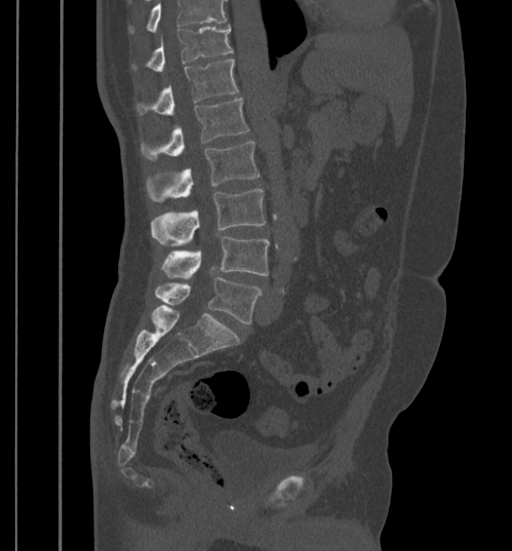 Spine CT. sagittal view
Boxes: x1:y1:x2:y2 in pixels.
Where the top of the scan cuts through a vertebra, that vertebra gets no label or box.
Vertebra bounding boxes:
- T11: 132:26:232:72
- T12: 137:59:239:114
- L1: 141:98:249:160
- L2: 146:141:259:201
- L3: 151:188:266:245
- L4: 162:236:270:277
- L5: 155:277:262:323